CT spine; sagittal reformat; bone-window reconstruction; 512x1410 px; some of the image was removed or blocked out with constant pixels
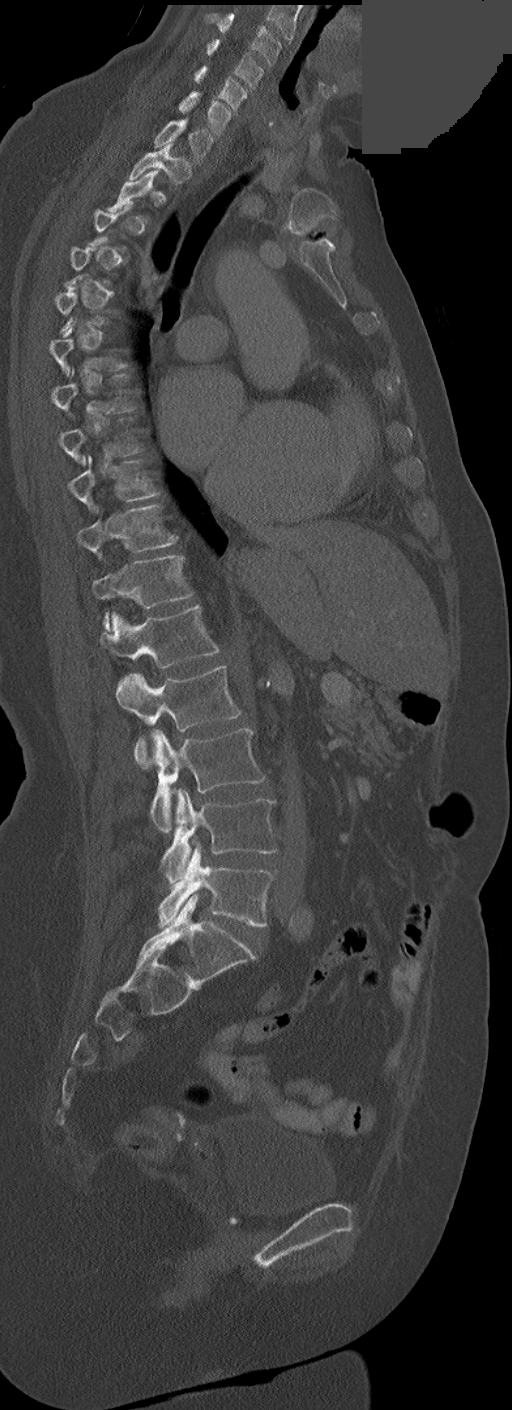 Box edges are left/top/right/bottom in pixels.
A vertebra gets a box only on the slices from the first to the last where its cross-section is at least a third of its largest; on a slice outside that range it gets none.
These labels give this spine no T12: after T11 the next vertebra is L1.
C3: left=205, top=13, right=280, bottom=67
C4: left=206, top=39, right=264, bottom=89
C5: left=194, top=66, right=247, bottom=109
C6: left=179, top=91, right=231, bottom=134
C7: left=155, top=118, right=213, bottom=162
T1: left=129, top=143, right=191, bottom=184
T7: left=51, top=368, right=134, bottom=412
T9: left=68, top=455, right=160, bottom=509
T10: left=76, top=504, right=176, bottom=556
T11: left=92, top=555, right=193, bottom=631
L1: left=100, top=606, right=219, bottom=668
L2: left=116, top=665, right=241, bottom=767
L3: left=151, top=728, right=264, bottom=833
L4: left=161, top=789, right=276, bottom=885
L5: left=159, top=842, right=274, bottom=926